Spine CT. sagittal reformat. 512x677 px. 10 vertebrae labeled in this scan
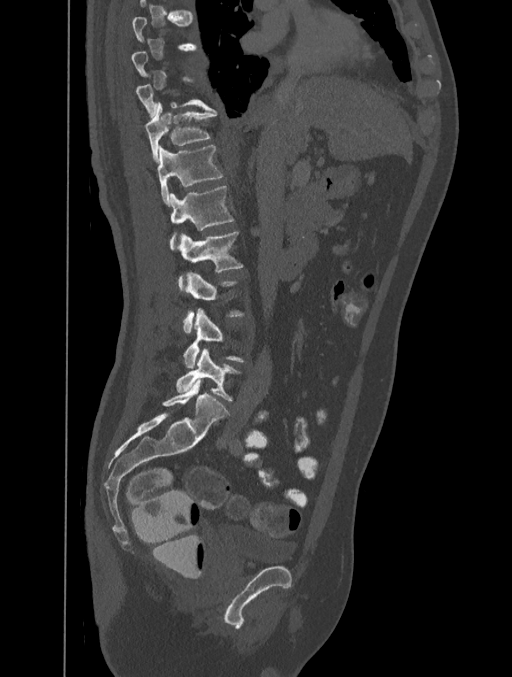
Boxes are (x1, y1, x2, y2) in pixels.
Each vertebra is boxed only on the slices from the first to the last where its cross-section reaches a third of its largest, so a slice outside that range leaves it unboxed.
T11: (145, 102, 217, 162)
T12: (158, 145, 224, 205)
L1: (170, 185, 234, 250)
L2: (178, 231, 243, 289)
L3: (184, 272, 244, 332)
L4: (184, 308, 244, 368)
L5: (176, 348, 240, 401)